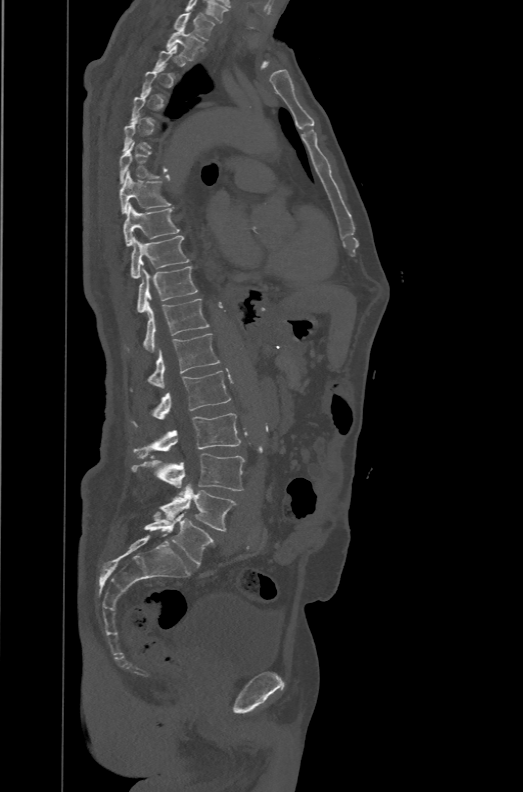

Computed tomography of the spine. sagittal view. 471 mm across the image

Each vertebra maps to its box as [x1, y1, x2, y2], the pixel coordinates of its top-left and bottom-right corners.
Not every vertebra on this slice has a box: a vertebra is boxed only from the first to the last slice where its cross-section is at least a third of its largest, and this slice is outside that range for at least one of them.
This scan's labels start at T1 at the top and end at L6 at the bottom.
In these labels the spine has an L6, a sixth lumbar vertebra below L5.
{"vertebrae":{"T1":[174,12,215,40],"T2":[166,27,204,60],"T8":[119,171,174,213],"T9":[123,203,179,246],"T10":[130,235,190,278],"T11":[137,266,198,314],"T12":[128,299,209,352],"L1":[148,333,220,387],"L2":[133,371,230,425],"L3":[133,413,240,458],"L4":[132,453,244,494],"L5":[159,484,237,531],"L6":[144,512,213,565]}}